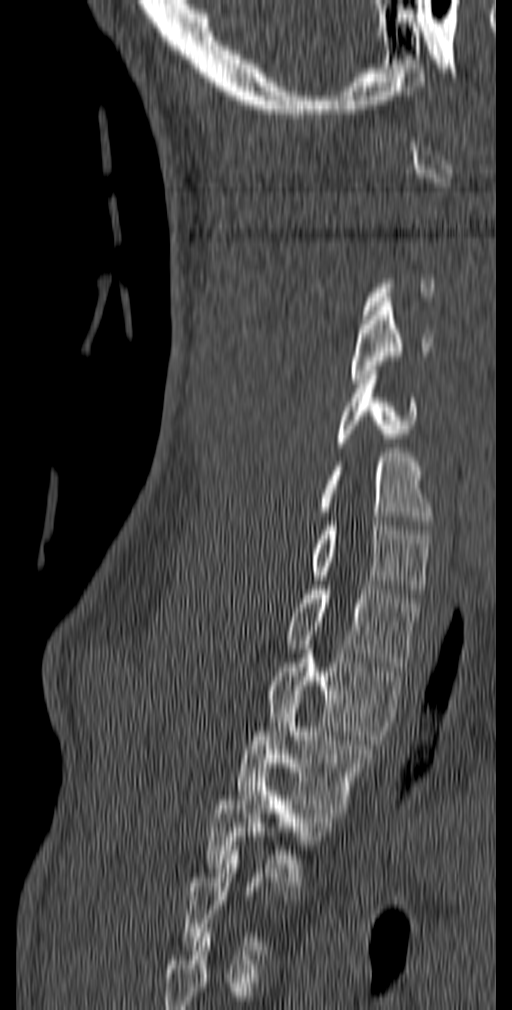 CT — sagittal view — bone-window reconstruction — image 140 mm wide
A vertebra is boxed only from the first to the last slice where its cross-section is at least a third of its largest; slices outside that range leave it without a box.
<vertebrae><v name="C4" x1="351" y1="302" x2="433" y2="383"/><v name="C5" x1="334" y1="370" x2="417" y2="447"/><v name="C6" x1="318" y1="453" x2="432" y2="525"/><v name="C7" x1="312" y1="521" x2="432" y2="598"/><v name="T1" x1="286" y1="585" x2="420" y2="671"/><v name="T2" x1="267" y1="645" x2="405" y2="740"/><v name="T3" x1="235" y1="695" x2="375" y2="817"/><v name="T4" x1="206" y1="773" x2="332" y2="886"/></vertebrae>